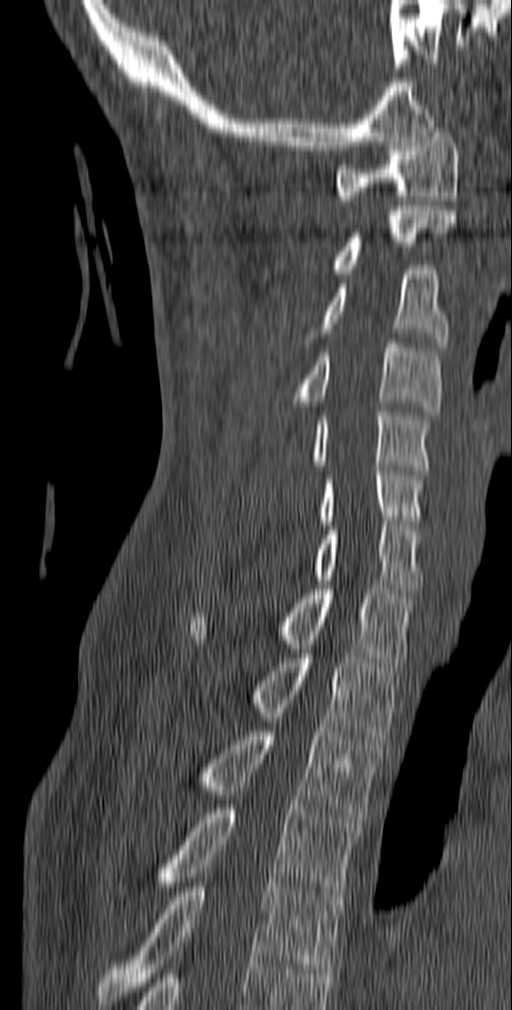 Spine computed tomography; sagittal view; the image is 140 mm wide; Bone window (WL 400, WW 1800)
Box edges are left/top/right/bottom in pixels. The labeled vertebrae in this slice are: C1 at left=334, top=128, right=459, bottom=200, C2 at left=330, top=206, right=456, bottom=273, C3 at left=301, top=265, right=449, bottom=346, C4 at left=294, top=338, right=441, bottom=415, C5 at left=312, top=407, right=432, bottom=474, C6 at left=319, top=466, right=425, bottom=525, C7 at left=315, top=521, right=422, bottom=593, T1 at left=189, top=585, right=414, bottom=666, T2 at left=251, top=649, right=401, bottom=740, T3 at left=136, top=727, right=382, bottom=822, T4 at left=147, top=805, right=359, bottom=900, T5 at left=98, top=878, right=340, bottom=1005.